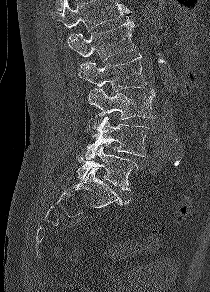
CT spine; sagittal reformat

Where the top of the scan cuts through a vertebra, that vertebra gets no label or box.
<vertebrae><v name="L1" x1="67" y1="18" x2="136" y2="60"/><v name="L2" x1="78" y1="55" x2="146" y2="92"/><v name="L3" x1="86" y1="88" x2="155" y2="134"/><v name="L4" x1="84" y1="116" x2="154" y2="160"/><v name="L5" x1="76" y1="144" x2="138" y2="190"/></vertebrae>